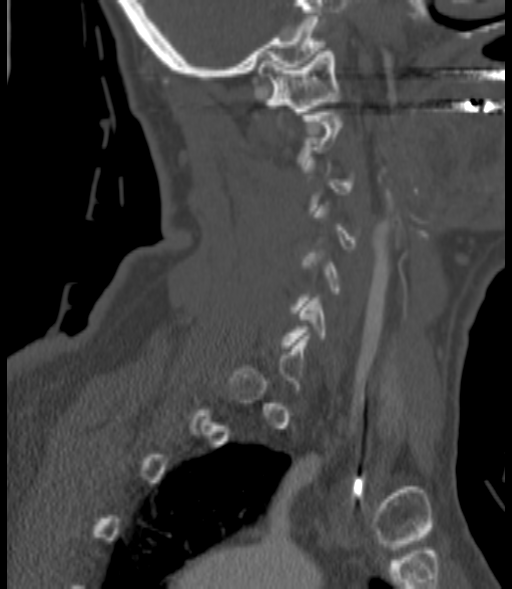

Spine computed tomography; sagittal view; bone-window reconstruction; 512x589 px; image width 200 mm. Boxes are given in columns x1, y1, x2, y2, the pixel coordinates of their top-left and bottom-right corners.
Each vertebra is boxed only on the slices from the first to the last where its cross-section reaches a third of its largest, so a slice outside that range leaves it unboxed.
| vertebra | x1 | y1 | x2 | y2 |
|---|---|---|---|---|
| C1 | 257 | 48 | 340 | 114 |
| C6 | 282 | 298 | 325 | 348 |